Spine CT — sagittal plane, index 242
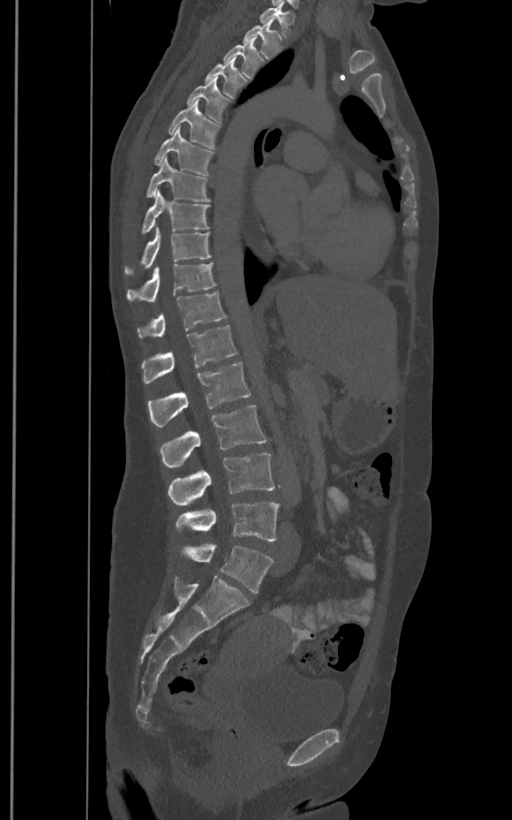

Bounding boxes as [x1, y1, x2, y2] in pixel coordinates.
These labels give the spine a sixth lumbar vertebra, L6, below L5.
L6: [180, 543, 273, 592]
L5: [175, 503, 279, 542]
L4: [168, 453, 275, 505]
L3: [160, 406, 268, 468]
L2: [147, 362, 251, 426]
L1: [141, 325, 237, 383]
T12: [137, 291, 227, 338]
T11: [127, 263, 216, 302]
T10: [124, 228, 211, 275]
T9: [141, 190, 210, 234]
T8: [146, 158, 210, 201]
T7: [153, 127, 214, 175]
T6: [168, 100, 220, 149]
T5: [187, 77, 229, 122]
T4: [205, 56, 246, 99]
T3: [223, 38, 264, 78]
T2: [243, 18, 282, 59]
T1: [258, 5, 293, 37]